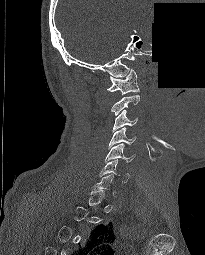

CT, spine — sagittal view — Bone window (WL 400, WW 1800) — some of the image was removed or blocked out with constant pixels
Each vertebra is boxed only on the slices from the first to the last where its cross-section reaches a third of its largest, so a slice outside that range leaves it unboxed.
<vertebrae><v name="C6" x1="99" y1="159" x2="129" y2="182"/><v name="C5" x1="105" y1="143" x2="135" y2="163"/><v name="C4" x1="108" y1="127" x2="136" y2="149"/><v name="C3" x1="112" y1="109" x2="137" y2="132"/><v name="C1" x1="107" y1="69" x2="139" y2="94"/></vertebrae>